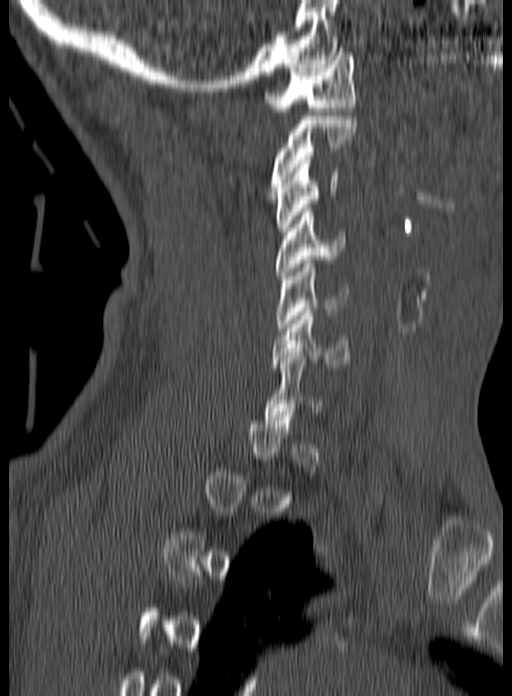 CT, spine · sagittal view · 160 mm image width
Not every vertebra on this slice has a box: a vertebra is boxed only from the first to the last slice where its cross-section is at least a third of its largest, and this slice is outside that range for at least one of them.
<vertebrae><v name="C6" x1="272" y1="308" x2="350" y2="367"/><v name="C5" x1="276" y1="260" x2="347" y2="331"/><v name="C4" x1="276" y1="208" x2="349" y2="279"/><v name="C3" x1="275" y1="160" x2="338" y2="231"/><v name="C2" x1="268" y1="112" x2="356" y2="195"/><v name="C1" x1="264" y1="48" x2="356" y2="111"/></vertebrae>